CT · Sagittal slice 243/512 · 812x1497 px · part of the image has been replaced by a constant value
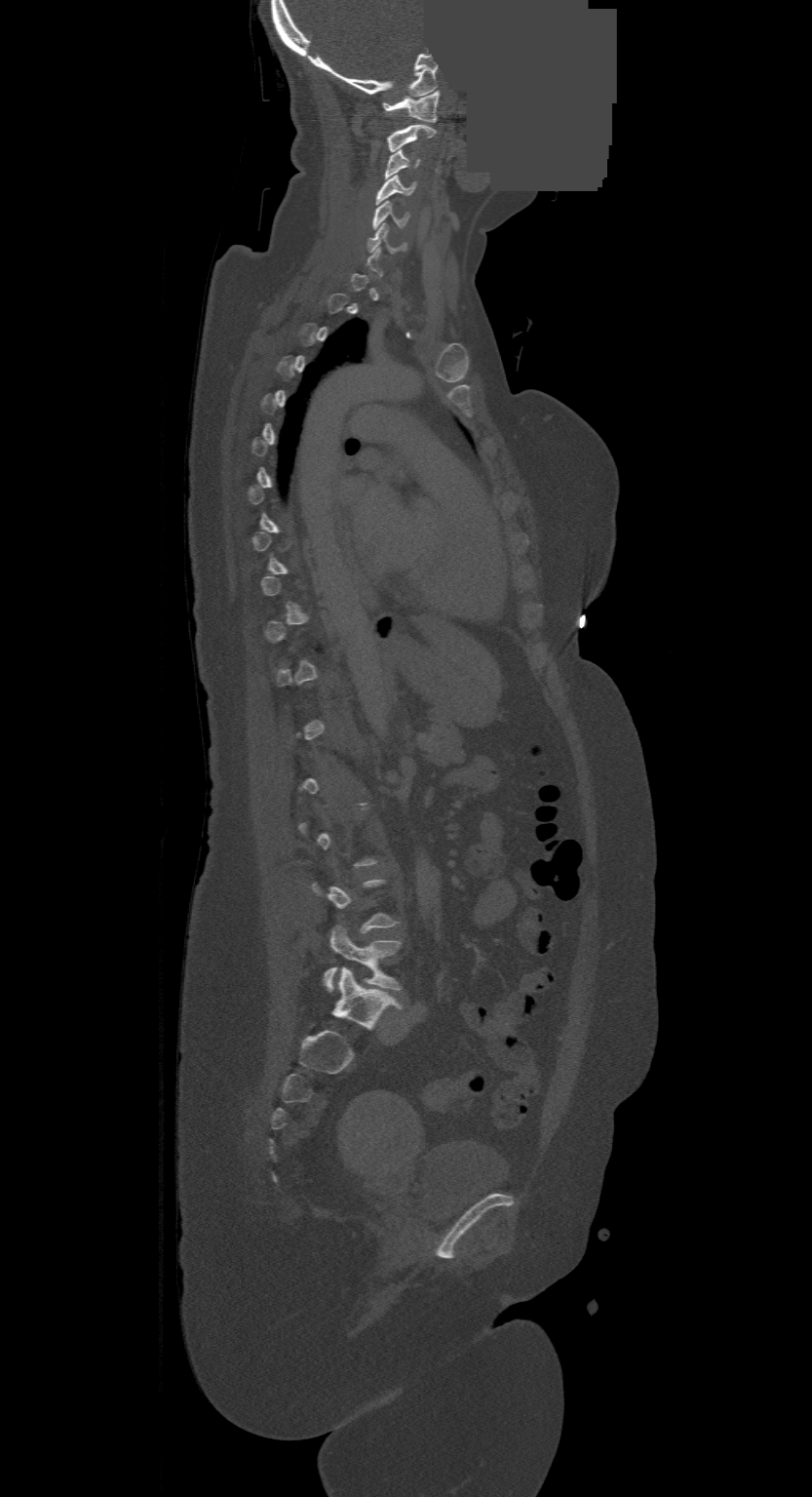
Box edges are left/top/right/bottom in pixels.
Each vertebra is boxed only on the slices from the first to the last where its cross-section reaches a third of its largest, so a slice outside that range leaves it unboxed.
In this scan, the topmost labeled vertebra is C1 and the lowest is L4.
Vertebra bounding boxes:
- C1: left=384, top=91, right=439, bottom=123
- C2: left=387, top=124, right=436, bottom=152
- C3: left=386, top=148, right=419, bottom=178
- C4: left=376, top=176, right=414, bottom=204
- C5: left=371, top=200, right=408, bottom=228
- C6: left=367, top=223, right=406, bottom=253
- L4: left=324, top=926, right=401, bottom=991